Spine computed tomography · 206 mm across the image · sagittal view · 392x1568 px · 24 vertebrae labeled in this scan · a portion of the image is blanked out (constant pixel value)
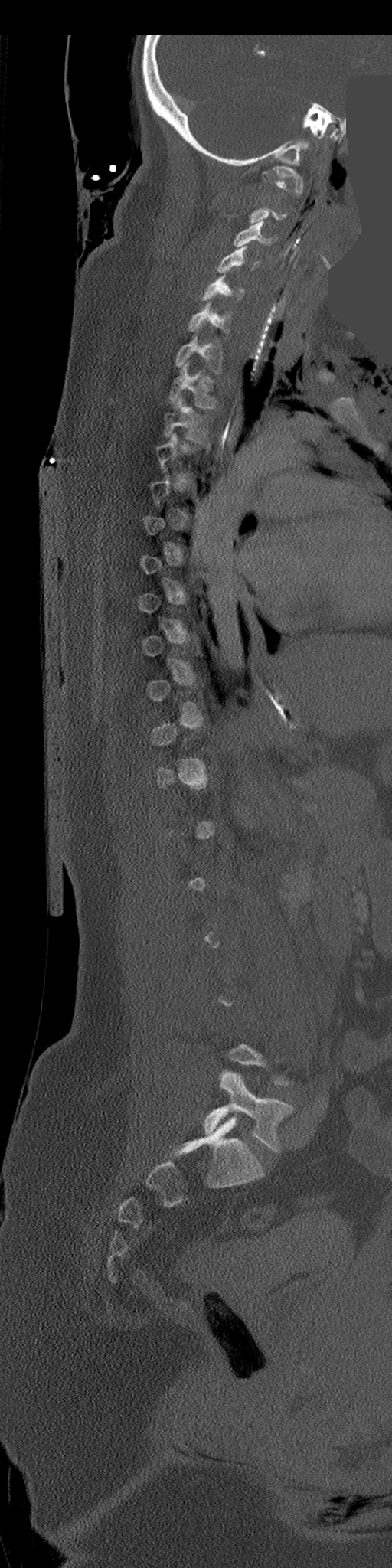

Each box is [x1, y1, x2, y2] in pixels: top-left corner, then bottom-right corner.
Each vertebra is boxed only on the slices from the first to the last where its cross-section reaches a third of its largest, so a slice outside that range leaves it unboxed.
{"vertebrae":{"C1":[262,166,304,200],"C3":[234,220,270,247],"C4":[217,247,258,273],"C5":[201,274,243,302],"C6":[187,303,230,333],"C7":[175,335,223,373],"T1":[168,361,217,409],"T2":[164,397,207,443],"L5":[204,1070,293,1153]}}